CT, spine · sagittal reformat · bone window
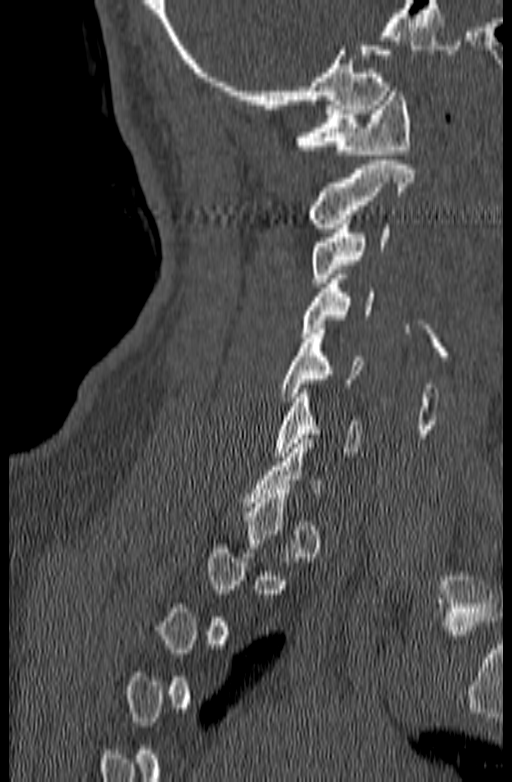 Box edges are left/top/right/bottom in pixels.
Each vertebra is boxed only on the slices from the first to the last where its cross-section reaches a third of its largest, so a slice outside that range leaves it unboxed.
Vertebra bounding boxes:
- C1: left=296, top=87, right=411, bottom=154
- C2: left=309, top=160, right=414, bottom=228
- C3: left=312, top=219, right=389, bottom=282
- C4: left=303, top=274, right=373, bottom=337
- C5: left=279, top=329, right=362, bottom=401
- C6: left=274, top=389, right=360, bottom=456